Spine computed tomography. sagittal view. 512x642 px. 9 vertebrae labeled in this scan
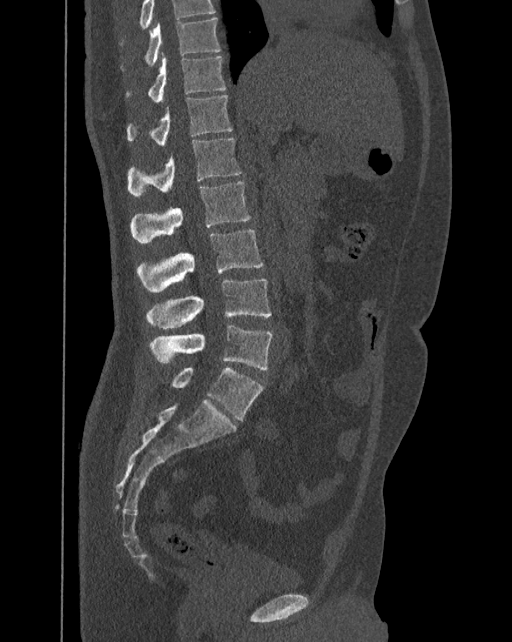
Boxes: x1:y1:x2:y2 in pixels. In this scan, the topmost labeled vertebra is T10 and the lowest is L6. These labels give the spine a sixth lumbar vertebra, L6, below L5. Vertebrae labeled: T10 at 121:18:220:70, T11 at 125:53:226:102, T12 at 127:94:233:146, L1 at 128:138:240:195, L2 at 130:181:251:242, L3 at 137:229:263:292, L4 at 146:279:271:328, L5 at 150:324:272:369, L6 at 171:368:263:420.